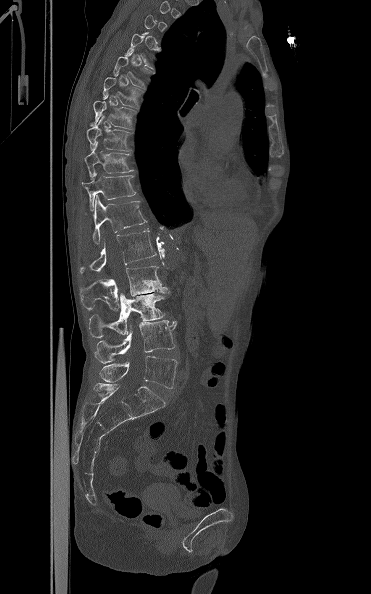
Spine computed tomography; sagittal view; 371x594 px
Box values are [left, top, right, bottom] in pixels.
A vertebra is boxed only from the first to the last slice where its cross-section is at least a third of its largest; slices outside that range leave it without a box.
{"vertebrae":{"T6":[113,50,151,89],"T7":[102,74,143,109],"T8":[89,94,137,129],"T9":[86,116,131,150],"T10":[84,142,133,178],"T11":[82,169,136,210],"T12":[92,195,147,244],"L1":[79,228,157,274],"L2":[80,266,168,310],"L3":[88,293,165,338],"L4":[95,320,177,363],"L5":[99,356,177,388]}}